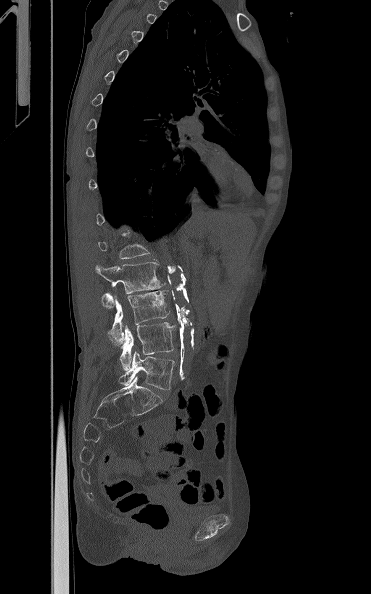 CT; sagittal view; 371x594 px. Coordinates as <box>x1,y1,x2,y2</box>.
Each vertebra is boxed only on the slices from the first to the last where its cross-section reaches a third of its largest, so a slice outside that range leaves it unboxed.
L2: <box>95,262,165,308</box>
L3: <box>108,290,170,344</box>
L4: <box>120,322,175,370</box>
L5: <box>119,351,174,389</box>